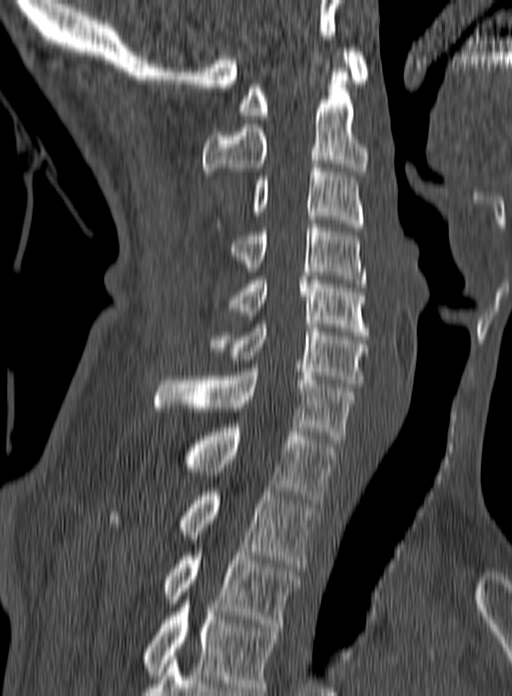

Spine CT; sagittal reformat; 512x696 px. Box edges are left/top/right/bottom in pixels. The highest labeled vertebra in this scan is C1; the lowest is T3. The labeled vertebrae in this slice are: C1 at left=238, top=48, right=369, bottom=119, C2 at left=203, top=72, right=368, bottom=175, C3 at left=217, top=164, right=364, bottom=227, C4 at left=230, top=224, right=367, bottom=287, C5 at left=228, top=280, right=368, bottom=335, C6 at left=207, top=320, right=368, bottom=387, C7 at left=155, top=368, right=355, bottom=443, T1 at left=180, top=428, right=337, bottom=503, T2 at left=109, top=492, right=317, bottom=567, T3 at left=161, top=552, right=300, bottom=627.